Computed tomography of the spine — 374 mm wide — sagittal view
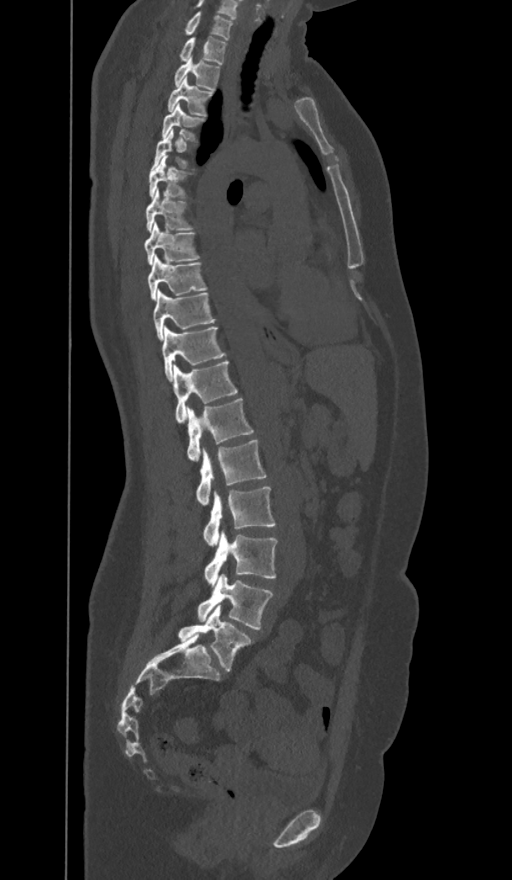 Each vertebra maps to its box as [x1, y1, x2, y2], the pixel coordinates of its top-left and bottom-right corners.
The labels name a sixth lumbar vertebra for this spine: L6, after L5.
{"vertebrae":{"C7":[183,12,233,40],"T1":[179,37,226,64],"T2":[174,58,219,89],"T3":[167,78,212,115],"T4":[161,103,206,142],"T5":[152,129,197,168],"T6":[149,155,193,199],"T7":[146,189,195,232],"T8":[145,222,200,264],"T9":[148,255,207,300],"T10":[153,290,215,339],"T11":[163,327,226,380],"T12":[174,361,237,422],"L1":[186,398,253,460],"L2":[196,439,266,504],"L3":[204,487,275,545],"L4":[204,533,277,584],"L5":[197,574,273,630],"L6":[178,605,252,670]}}